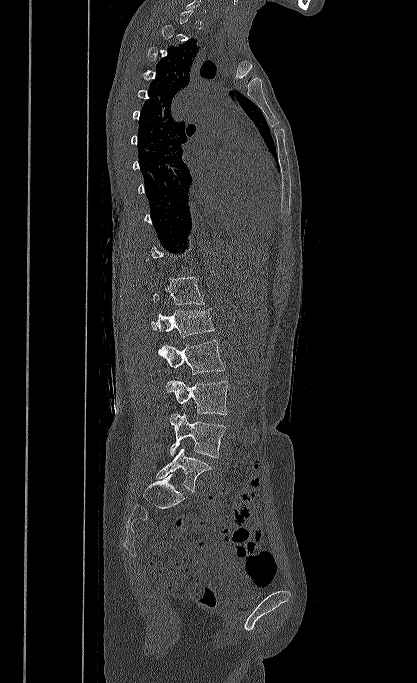
CT, spine · sagittal reformat · bone window · 417 mm wide. Boxes: x1:y1:x2:y2 in pixels. A vertebra gets a box only on the slices from the first to the last where its cross-section is at least a third of its largest; on a slice outside that range it gets none. 6 vertebrae labeled — T12 at 153:277:204:304; L1 at 151:309:214:337; L2 at 158:339:225:374; L3 at 166:379:228:414; L4 at 169:413:226:457; L5 at 157:447:211:491.